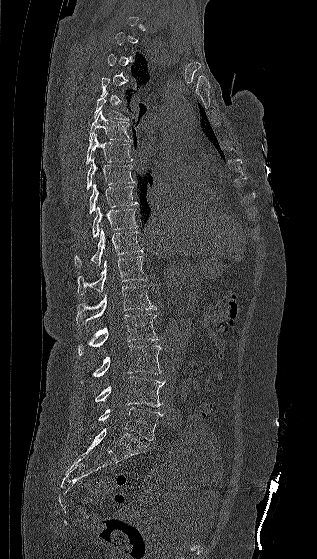 CT, spine — sagittal view

Boxes: x1 y1 x2 y2 (pixel coords, space-separated).
A vertebra gets a box only on the slices from the first to the last where its cross-section is at least a third of its largest; on a slice outside that range it gets none.
T5: 93 92 129 120
T6: 89 110 132 142
T7: 86 133 133 165
T8: 86 157 135 190
T9: 89 182 138 213
T10: 92 206 138 237
T11: 74 228 143 267
T12: 76 256 147 294
L1: 76 285 156 324
L2: 77 314 160 356
L3: 80 345 161 384
L4: 94 376 165 407
L5: 98 407 163 440